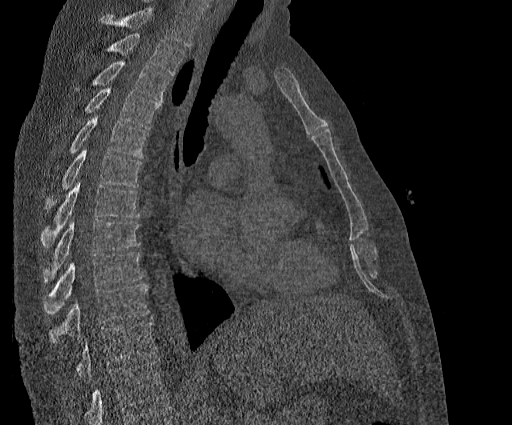 CT, spine · sagittal view

Box edges are left/top/right/bottom in pixels.
Where the top of the scan cuts through a vertebra, that vertebra gets no label or box.
The highest labeled vertebra in this scan is T2; the lowest is T11.
T2: left=110, top=33, right=184, bottom=75
T3: left=94, top=61, right=169, bottom=100
T4: left=86, top=87, right=160, bottom=128
T5: left=68, top=115, right=147, bottom=158
T6: left=49, top=148, right=141, bottom=206
T7: left=41, top=181, right=139, bottom=246
T8: left=42, top=220, right=140, bottom=282
T9: left=42, top=252, right=143, bottom=314
T10: left=49, top=284, right=149, bottom=343
T11: left=74, top=321, right=156, bottom=379